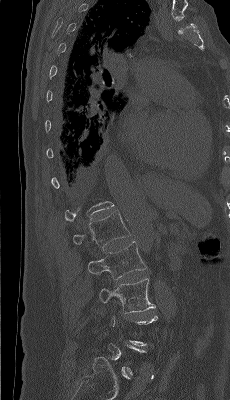 CT spine; sagittal reformat
Boxes: x1:y1:x2:y2 in pixels.
Each vertebra is boxed only on the slices from the first to the last where its cross-section reaches a third of its largest, so a slice outside that range leaves it unboxed.
Vertebra bounding boxes:
- L1: 73:210:130:249
- L2: 87:241:146:279
- L3: 99:278:155:312